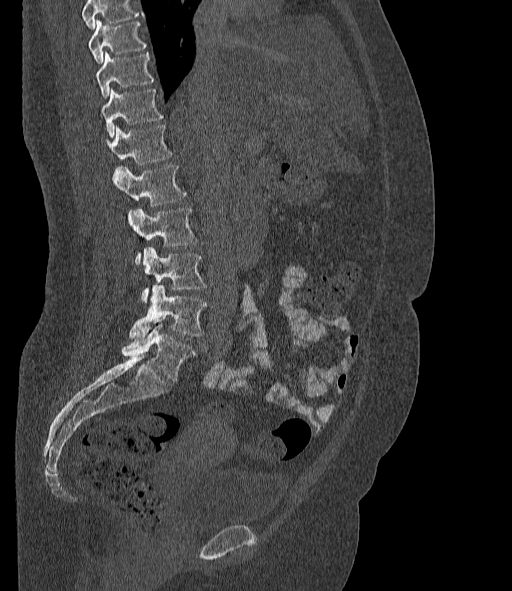
CT, spine · sagittal view · 512x591 px. Boxes are (x1, y1, x2, y2) in pixels.
No box is given to a vertebra that the top edge of the scan cuts off.
The labels name a sixth lumbar vertebra for this spine: L6, after L5.
T10: (88, 19, 147, 64)
T11: (96, 52, 154, 99)
T12: (102, 88, 163, 138)
L1: (107, 125, 173, 165)
L2: (114, 164, 186, 205)
L3: (129, 208, 197, 264)
L4: (141, 247, 205, 303)
L5: (130, 285, 207, 337)
L6: (122, 322, 196, 381)